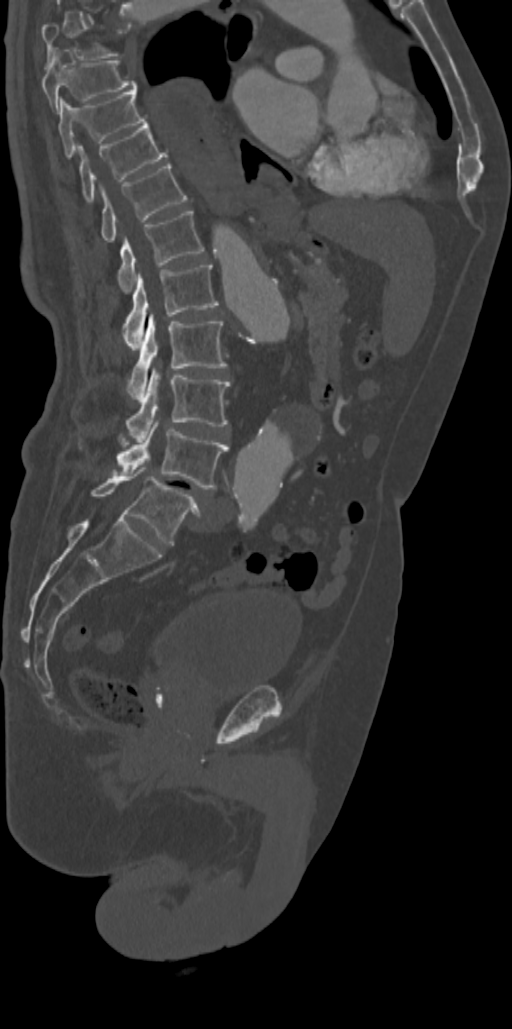
Spine computed tomography; sagittal view; bone-window reconstruction; 512x1029 px

Each box is [x1, y1, x2, y2] in pixels: top-left corner, then bottom-right corner.
Not every vertebra on this slice has a box: a vertebra is boxed only from the first to the last slice where its cross-section is at least a third of its largest, and this slice is outside that range for at least one of them.
{"vertebrae":{"L5":[91,467,201,543],"L4":[117,420,228,489],"L3":[126,368,229,442],"L2":[127,312,226,399],"L1":[123,265,217,345],"T12":[117,211,204,291],"T11":[100,164,186,242],"T10":[77,121,167,201],"T9":[58,90,146,156],"T8":[42,54,137,109]}}